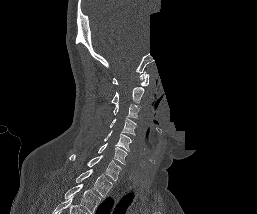

CT spine; image width 257 mm; sagittal reformat; a portion of the image is blanked out (constant pixel value)
This scan's labels start at C1 at the top and end at T1 at the bottom.
<vertebrae><v name="C1" x1="112" y1="70" x2="149" y2="86"/><v name="C2" x1="111" y1="87" x2="144" y2="103"/><v name="C3" x1="113" y1="103" x2="139" y2="118"/><v name="C4" x1="109" y1="118" x2="136" y2="135"/><v name="C5" x1="104" y1="130" x2="132" y2="150"/><v name="C6" x1="98" y1="143" x2="127" y2="164"/><v name="C7" x1="69" y1="154" x2="121" y2="181"/><v name="T1" x1="76" y1="169" x2="112" y2="197"/></vertebrae>